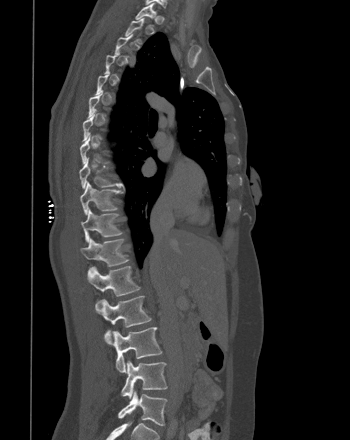
Computed tomography of the spine. sagittal view. bone window
Coordinates as <box>x1,y1,x2,y2</box>.
Not every vertebra on this slice has a box: a vertebra is boxed only from the first to the last slice where its cross-section is at least a third of its largest, and this slice is outside that range for at least one of them.
T1: <box>135,2,156,25</box>
T9: <box>79,157,121,188</box>
T10: <box>80,181,120,214</box>
T11: <box>81,208,122,242</box>
T12: <box>81,238,128,274</box>
L1: <box>87,266,140,307</box>
L2: <box>95,296,151,343</box>
L3: <box>104,327,162,372</box>
L4: <box>121,360,167,398</box>
L5: <box>118,390,166,425</box>